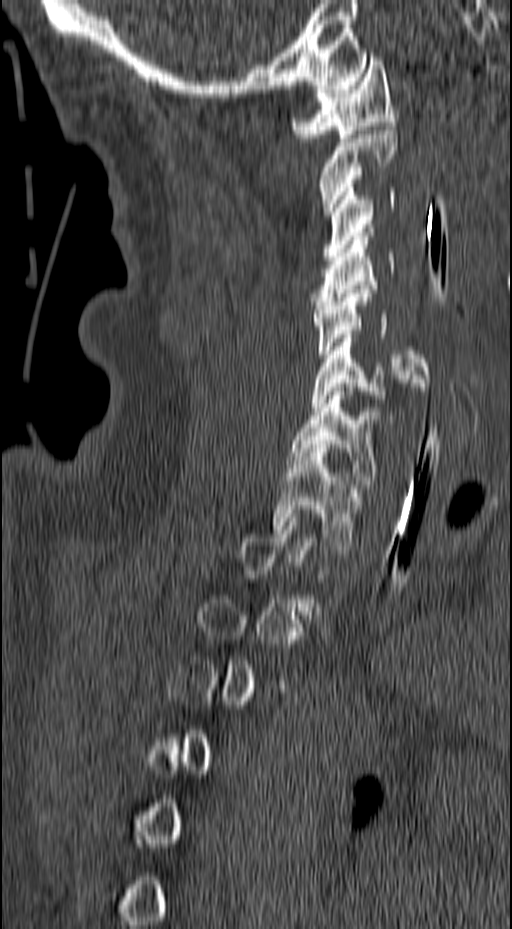

CT · sagittal view · the image is 157 mm wide · bone window
Bounding boxes as [x1, y1, x2, y2] in pixel coordinates. A vertebra is boxed only from the first to the last slice where its cross-section is at least a third of its largest; slices outside that range leave it without a box. 8 vertebrae labeled — C1 at [291, 57, 398, 142]; C2 at [317, 126, 398, 215]; C3 at [323, 188, 395, 260]; C4 at [310, 232, 395, 309]; C5 at [311, 289, 430, 386]; C6 at [311, 334, 425, 423]; C7 at [288, 387, 380, 484]; T1 at [272, 448, 360, 549].